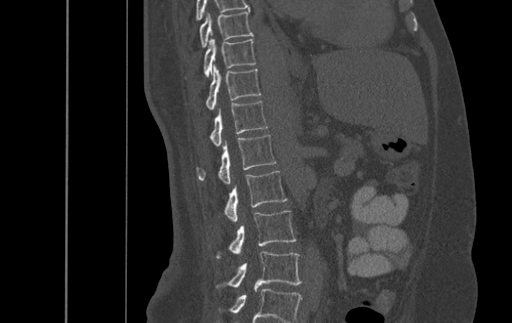
CT. sagittal reformat. bone window. the image spans 500 mm across. 512x323 px
Box edges are left/top/right/bottom in pixels. Labels in this scan begin with T9 at the top and end with L4 at the bottom. Vertebrae labeled: T9 at left=200, top=11, right=253, bottom=46, T10 at left=204, top=38, right=255, bottom=77, T11 at left=206, top=65, right=260, bottom=110, T12 at left=210, top=101, right=267, bottom=145, L1 at left=197, top=134, right=275, bottom=183, L2 at left=224, top=171, right=287, bottom=221, L3 at left=216, top=211, right=296, bottom=258, L4 at left=216, top=251, right=301, bottom=291.